CT, spine; sagittal reformat; bone window; image 350 mm wide
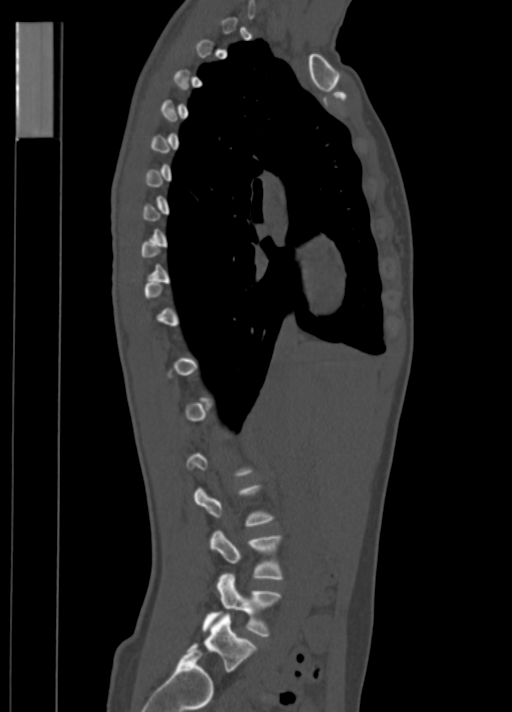 Boxes are (x1, y1, x2, y2) in pixels. A vertebra gets a box only on the slices from the first to the last where its cross-section is at least a third of its largest; on a slice outside that range it gets none. The labeled vertebrae in this slice are: L3 at (210, 530, 283, 580), L4 at (203, 573, 281, 637), L5 at (188, 614, 256, 670).